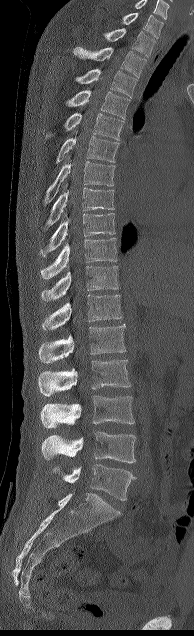 CT, spine · sagittal view · 194x636 px. Boxes are (x1, y1, x2, y2) in pixels.
The highest labeled vertebra in this scan is C7; the lowest is L5.
C7: (121, 12, 163, 38)
T1: (103, 28, 155, 56)
T2: (74, 47, 146, 77)
T3: (75, 69, 136, 97)
T4: (66, 89, 129, 118)
T5: (46, 112, 123, 140)
T6: (56, 136, 118, 163)
T7: (43, 156, 115, 205)
T8: (42, 184, 114, 231)
T9: (40, 213, 114, 256)
T10: (40, 238, 116, 279)
T11: (41, 266, 118, 301)
T12: (42, 294, 122, 329)
L1: (39, 325, 126, 363)
L2: (38, 360, 130, 396)
L3: (41, 395, 134, 428)
L4: (42, 431, 135, 463)
L5: (53, 464, 135, 500)